Spine CT. Sagittal slice 35/81. W/L 1800/400 HU
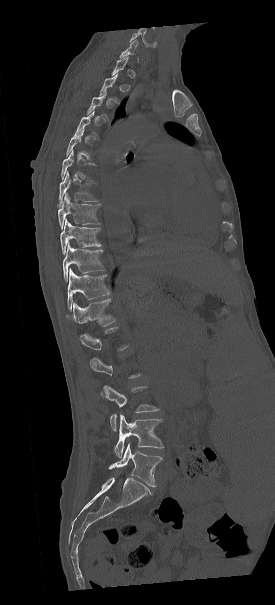
Boxes below are [x1, y1, x2, y2] in pixels.
A vertebra gets a box only on the slices from the first to the last where its cross-section is at least a third of its largest; on a slice outside that range it gets none.
{"vertebrae":{"L5":[109,443,162,487],"L4":[114,413,163,457],"L3":[103,385,158,430],"T12":[66,299,115,326],"T11":[67,268,109,311],"T10":[63,243,104,280],"T9":[60,219,100,254],"T8":[58,193,100,227],"T7":[58,171,98,207],"T6":[61,150,95,181]}}